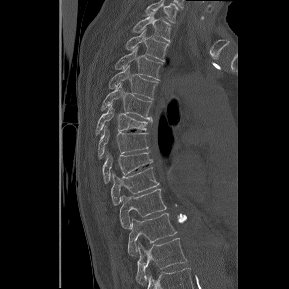 CT. sagittal view. W/L 1800/400 HU. image width 289 mm
Boxes: x1 y1 x2 y2 (pixel coords, space-separated).
This scan's labels start at T1 at the top and end at T12 at the bottom.
T1: 132 14 170 41
T2: 125 30 169 61
T3: 114 47 162 80
T4: 108 65 157 99
T5: 101 84 152 121
T6: 96 105 150 134
T7: 98 126 148 158
T8: 102 152 152 182
T9: 111 167 158 204
T10: 119 188 166 228
T11: 127 213 177 256
T12: 136 238 186 284